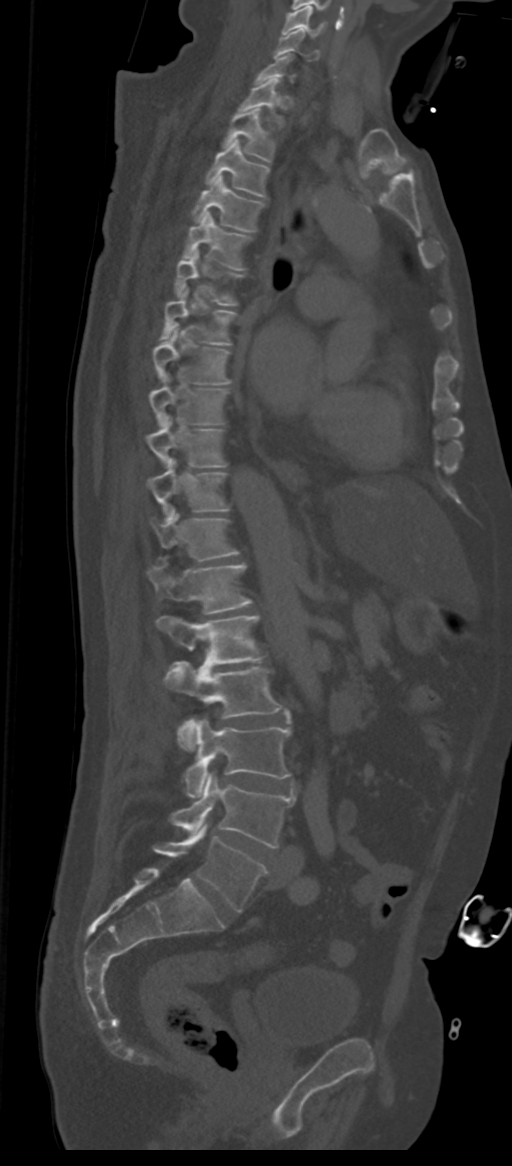

Spine CT; sagittal view
Each vertebra maps to its box as [x1, y1, x2, y2], the pixel coordinates of its top-left and bottom-right corners.
A vertebra is boxed only from the first to the last slice where its cross-section is at least a third of its largest; slices outside that range leave it without a box.
These labels give the spine a sixth lumbar vertebra, L6, below L5.
{"vertebrae":{"L6":[153,824,266,912],"L5":[170,773,294,847],"L4":[183,718,291,796],"L3":[165,661,282,750],"L2":[157,616,263,668],"L1":[147,564,251,614],"T12":[152,509,238,561],"T11":[147,458,230,518],"T10":[147,415,227,467],"T9":[148,374,228,426],"T8":[153,323,230,385],"T7":[160,289,236,345],"T6":[175,249,243,306],"T5":[183,211,251,269],"T4":[191,175,264,232],"T3":[204,139,269,197],"T2":[223,107,274,161],"T1":[237,79,284,128],"C6":[274,30,319,60],"C5":[283,5,325,37]}}